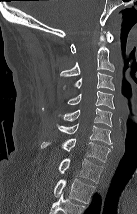
Computed tomography of the spine · sagittal reformat. Each row gives a vertebra's box as x1, y1, x2, y2 in pixels: top-left corner, then bottom-right corner.
Labels in this scan begin with C1 at the top and end with T2 at the bottom.
| vertebra | x1 | y1 | x2 | y2 |
|---|---|---|---|---|
| C1 | 70 | 31 | 113 | 53 |
| C2 | 60 | 28 | 114 | 76 |
| C3 | 63 | 72 | 114 | 90 |
| C4 | 67 | 91 | 114 | 108 |
| C5 | 58 | 108 | 112 | 127 |
| C6 | 56 | 123 | 112 | 144 |
| C7 | 41 | 138 | 112 | 162 |
| T1 | 58 | 158 | 103 | 182 |
| T2 | 54 | 178 | 95 | 203 |